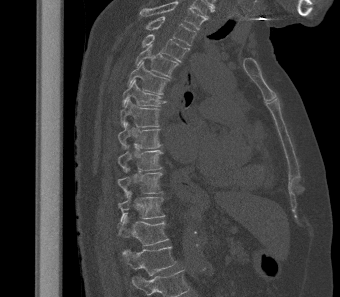
CT; sagittal view; 340 mm across the image

In this scan, the topmost labeled vertebra is T2 and the lowest is L1.
<vertebrae><v name="T2" x1="145" y1="16" x2="196" y2="46"/><v name="T3" x1="142" y1="34" x2="189" y2="62"/><v name="T4" x1="135" y1="45" x2="178" y2="77"/><v name="T5" x1="127" y1="61" x2="170" y2="94"/><v name="T6" x1="122" y1="79" x2="166" y2="106"/><v name="T7" x1="120" y1="98" x2="160" y2="127"/><v name="T8" x1="118" y1="122" x2="162" y2="149"/><v name="T9" x1="118" y1="144" x2="163" y2="172"/><v name="T10" x1="117" y1="167" x2="165" y2="198"/><v name="T11" x1="118" y1="191" x2="165" y2="223"/><v name="T12" x1="117" y1="213" x2="169" y2="246"/><v name="L1" x1="121" y1="246" x2="177" y2="275"/></vertebrae>